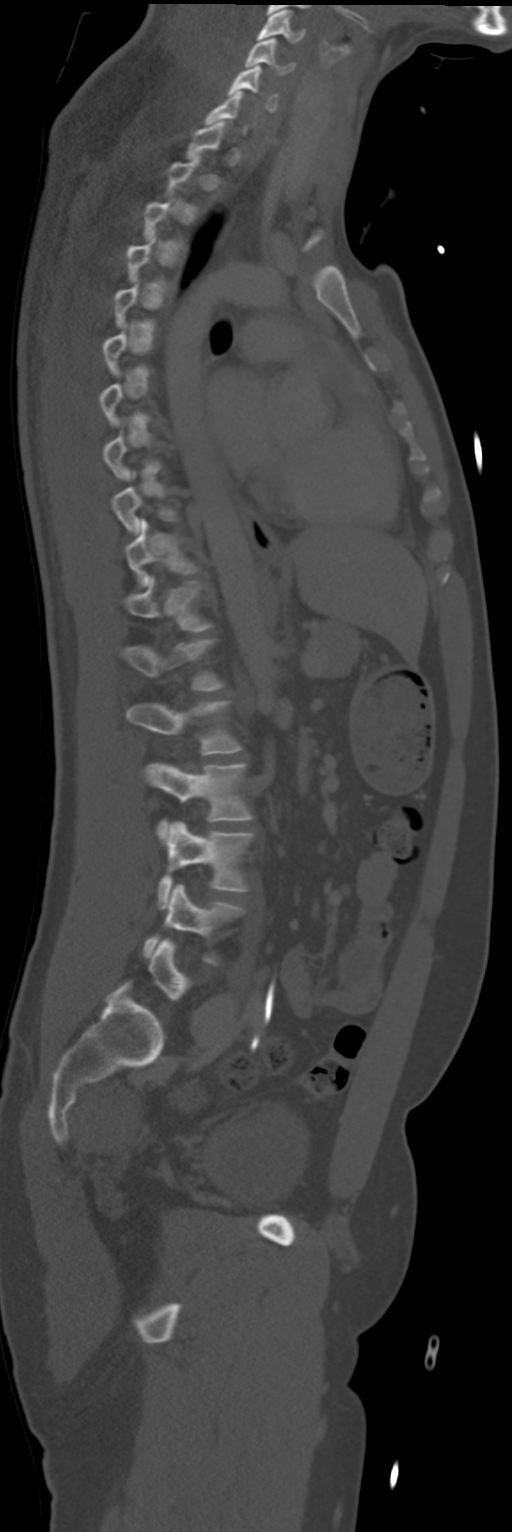 Spine computed tomography · sagittal view · bone-window reconstruction · the image spans 268 mm across · 512x1532 px

Each vertebra is boxed only on the slices from the first to the last where its cross-section reaches a third of its largest, so a slice outside that range leaves it unboxed.
<vertebrae><v name="L4" x1="143" y1="883" x2="242" y2="964"/><v name="L3" x1="157" y1="822" x2="254" y2="909"/><v name="L2" x1="144" y1="763" x2="252" y2="839"/><v name="L1" x1="127" y1="700" x2="242" y2="754"/><v name="T12" x1="121" y1="638" x2="223" y2="691"/><v name="T11" x1="125" y1="577" x2="212" y2="632"/><v name="T10" x1="125" y1="518" x2="196" y2="586"/><v name="C6" x1="228" y1="65" x2="278" y2="110"/><v name="C5" x1="245" y1="38" x2="294" y2="74"/><v name="C4" x1="257" y1="10" x2="306" y2="43"/></vertebrae>